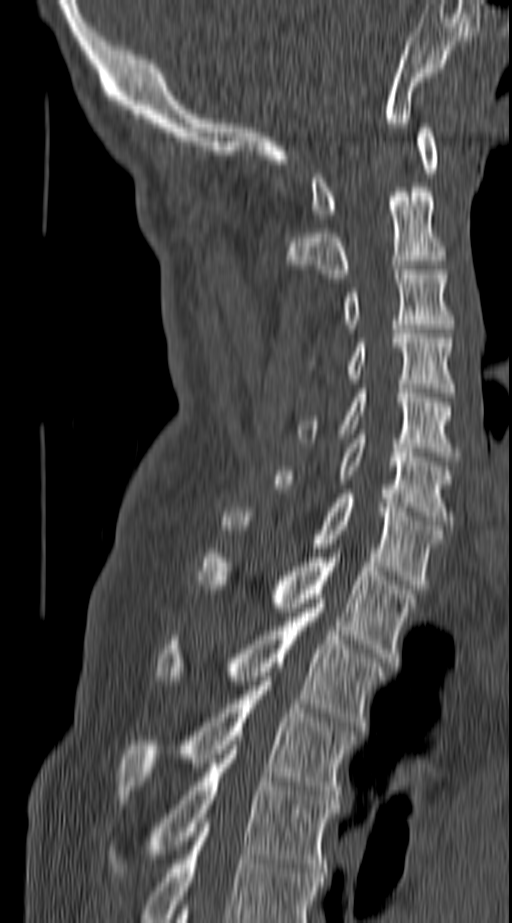

Spine computed tomography; 140 mm image width; sagittal view; bone window
Box edges are left/top/right/bottom in pixels.
In this scan, the topmost labeled vertebra is C1 and the lowest is T4.
| vertebra | x1 | y1 | x2 | y2 |
|---|---|---|---|---|
| C1 | 312 | 128 | 436 | 218 |
| C2 | 287 | 187 | 447 | 278 |
| C3 | 341 | 270 | 454 | 328 |
| C4 | 309 | 329 | 454 | 397 |
| C5 | 296 | 389 | 461 | 456 |
| C6 | 276 | 434 | 454 | 525 |
| C7 | 221 | 494 | 443 | 589 |
| T1 | 199 | 549 | 414 | 662 |
| T2 | 155 | 603 | 384 | 730 |
| T3 | 118 | 681 | 355 | 804 |
| T4 | 107 | 745 | 337 | 877 |